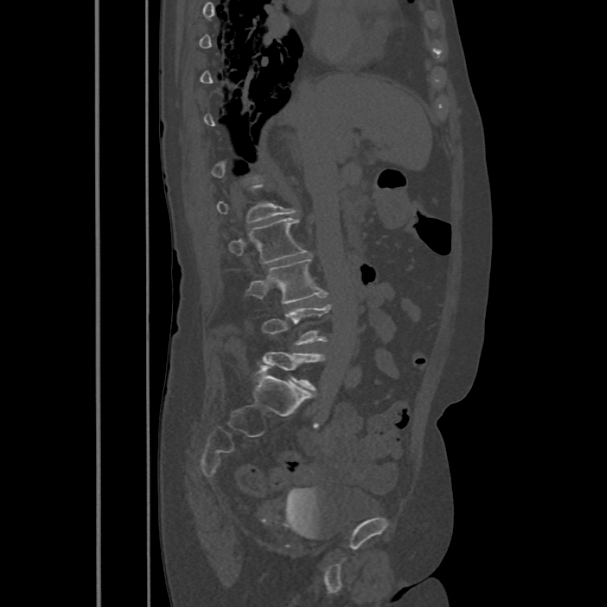 Spine CT; sagittal view

Each vertebra is boxed only on the slices from the first to the last where its cross-section reaches a third of its largest, so a slice outside that range leaves it unboxed.
<vertebrae><v name="L5" x1="262" y1="352" x2="324" y2="390"/><v name="L4" x1="262" y1="305" x2="330" y2="345"/><v name="L3" x1="248" y1="257" x2="324" y2="304"/><v name="L2" x1="229" y1="217" x2="306" y2="264"/></vertebrae>